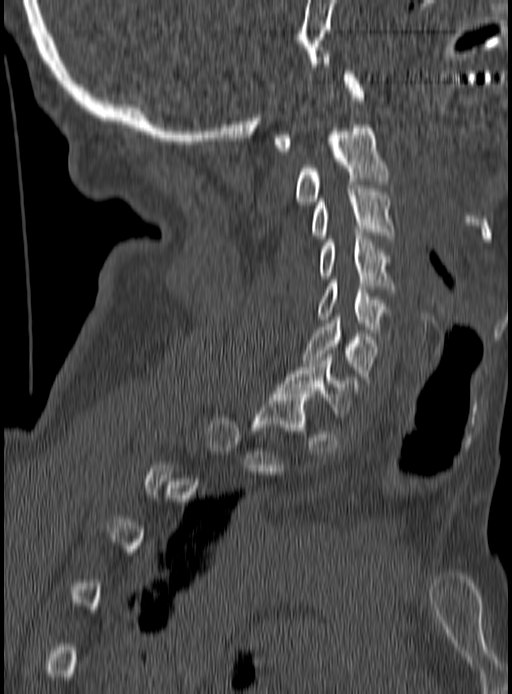 Spine computed tomography · sagittal view · image 190 mm wide · 512x694 px. Boxes: x1 y1 x2 y2 (pixel coords, space-separated). A vertebra is boxed only from the first to the last slice where its cross-section is at least a third of its largest; slices outside that range leave it without a box. Vertebrae labeled: C1 at 272 71 364 151, C2 at 295 125 388 204, C3 at 311 189 393 238, C4 at 319 232 393 289, C5 at 319 280 388 332, C6 at 303 317 377 376, C7 at 278 354 359 417.